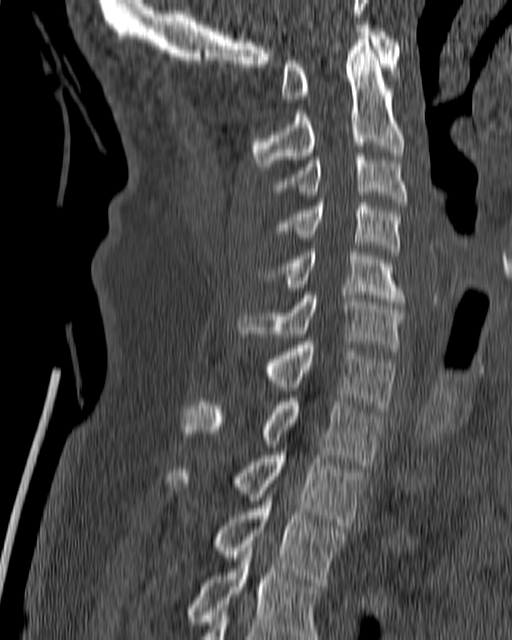
Computed tomography of the spine · sagittal view · bone-window reconstruction · 512x640 px
Boxes: x1 y1 x2 y2 (pixel coords, space-separated). Vertebrae labeled: C1 at 281 25 400 102, C2 at 251 36 404 170, C3 at 270 153 407 205, C4 at 276 199 401 255, C5 at 263 249 406 305, C6 at 238 292 405 351, C7 at 265 341 395 411, T1 at 183 398 381 465, T2 at 166 452 364 525, T3 at 214 487 344 582, T4 at 187 544 320 639.